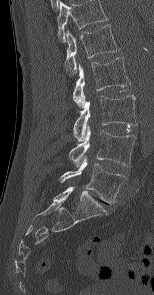
CT, spine. sagittal reformat. 154 mm image width

In this scan, the topmost labeled vertebra is L1 and the lowest is L5.
<vertebrae><v name="L1" x1="64" y1="24" x2="119" y2="74"/><v name="L2" x1="72" y1="57" x2="130" y2="108"/><v name="L3" x1="73" y1="95" x2="137" y2="141"/><v name="L4" x1="69" y1="126" x2="135" y2="166"/><v name="L5" x1="60" y1="157" x2="127" y2="203"/></vertebrae>